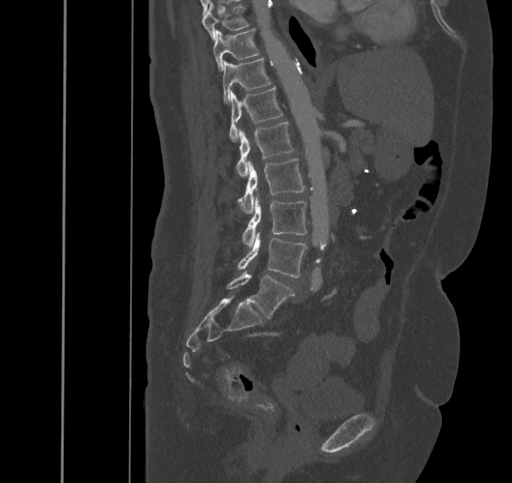

CT · sagittal view · 512x483 px · 445 mm wide

Each box given as x1,y1,x2,y2.
Vertebra bounding boxes:
- T9: x1=202, y1=4, x2=249, y2=40
- T10: x1=213, y1=29, x2=259, y2=71
- T11: x1=223, y1=58, x2=270, y2=103
- T12: x1=229, y1=87, x2=283, y2=142
- L1: x1=236, y1=121, x2=296, y2=175
- L2: x1=238, y1=158, x2=305, y2=212
- L3: x1=242, y1=195, x2=306, y2=248
- L4: x1=237, y1=233, x2=307, y2=277
- L5: x1=227, y1=272, x2=293, y2=318